Computed tomography of the spine — sagittal reformat — W/L 1800/400 HU — scan covers 10 annotated vertebrae
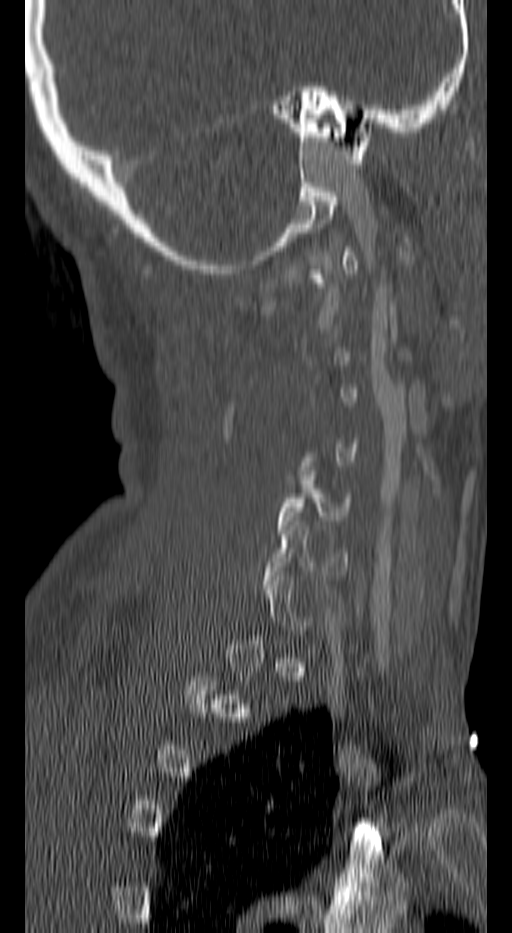

Boxes are (x1, y1, x2, y2) in pixels. A vertebra gets a box only on the slices from the first to the last where its cross-section is at least a third of its largest; on a slice outside that range it gets none. The labeled vertebrae in this slice are: C5 at (276, 471, 351, 529), C6 at (265, 521, 348, 589).